CT, spine — sagittal view — 512x732 px — image 367 mm wide
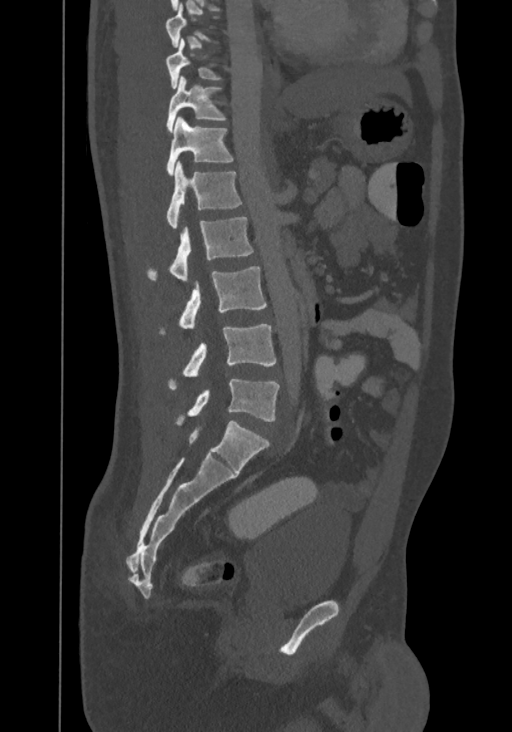
Boxes: x1 y1 x2 y2 (pixel coords, space-separated).
Each vertebra is boxed only on the slices from the first to the last where its cross-section reaches a third of its largest, so a slice outside that range leaves it unboxed.
Labels in this scan begin with T8 at the top and end with L4 at the bottom.
L4: 176 378 279 425
L3: 169 324 276 389
L2: 162 266 267 332
L1: 148 217 253 282
T12: 167 162 242 228
T11: 166 116 233 175
T10: 166 75 226 131
T9: 166 38 221 88